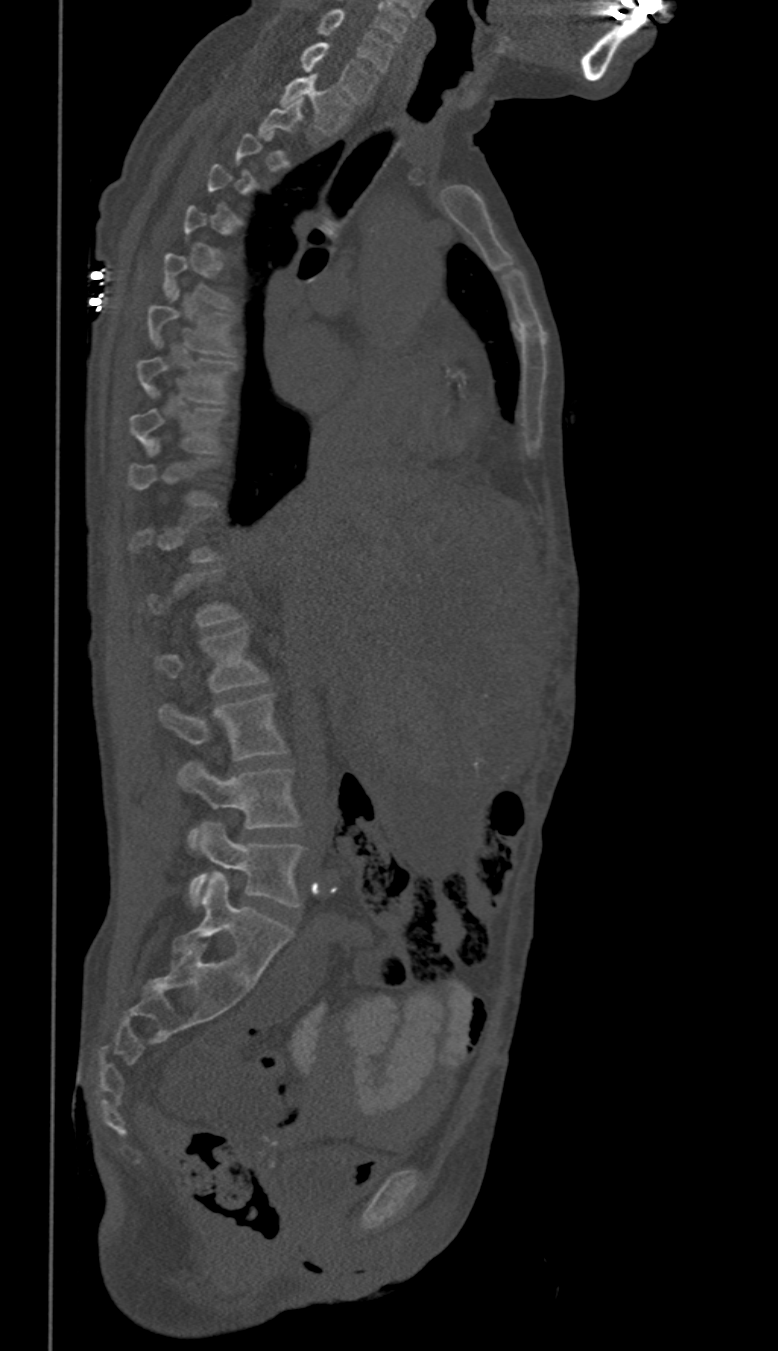

CT. sagittal view. image 350 mm wide

Coordinates as <box>x1,y1,x2,y2</box>. A vertebra gets a box only on the slices from the first to the last where its cross-section is at least a third of its largest; on a slice outside that range it gets none. The labeled vertebrae in this slice are: C6 at <box>317,9,392,71</box>, C7 at <box>299,40,376,102</box>, T1 at <box>280,74,351,133</box>, T7 at <box>149,292,234,355</box>, T8 at <box>137,356,236,402</box>, T9 at <box>129,409,224,455</box>, L2 at <box>155,627,268,693</box>, L3 at <box>160,694,288,759</box>, L4 at <box>178,760,301,846</box>, L5 at <box>188,823,306,906</box>.